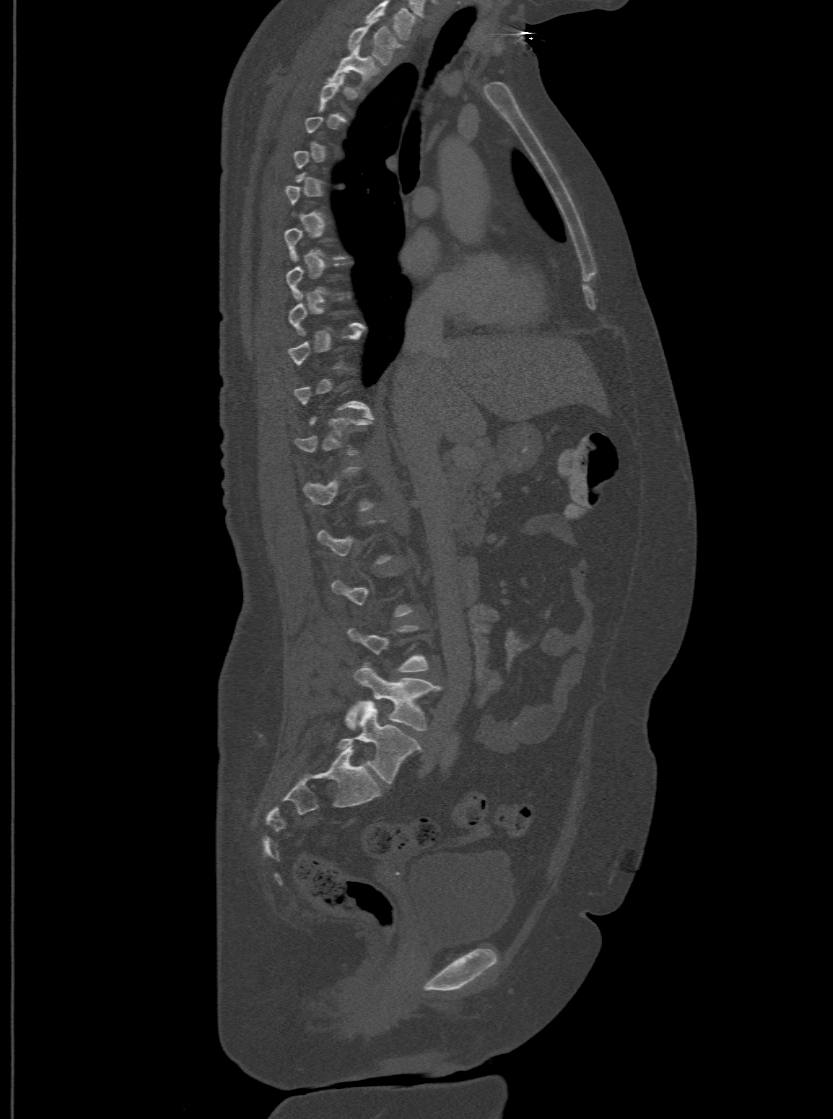

CT spine — sagittal view — Bone window (WL 400, WW 1800) — 500 mm wide — 833x1119 px. Coordinates as <box>x1,y1,x2,y2</box>. A vertebra gets a box only on the slices from the first to the last where its cross-section is at least a third of its largest; on a slice outside that range it gets none. This scan's labels start at T1 at the top and end at L6 at the bottom. The labels name a sixth lumbar vertebra for this spine: L6, after L5. The labeled vertebrae in this slice are: T1 at <box>347,23,399,64</box>, T2 at <box>329,45,373,84</box>, L5 at <box>347,661,440,730</box>, L6 at <box>339,701,421,783</box>.